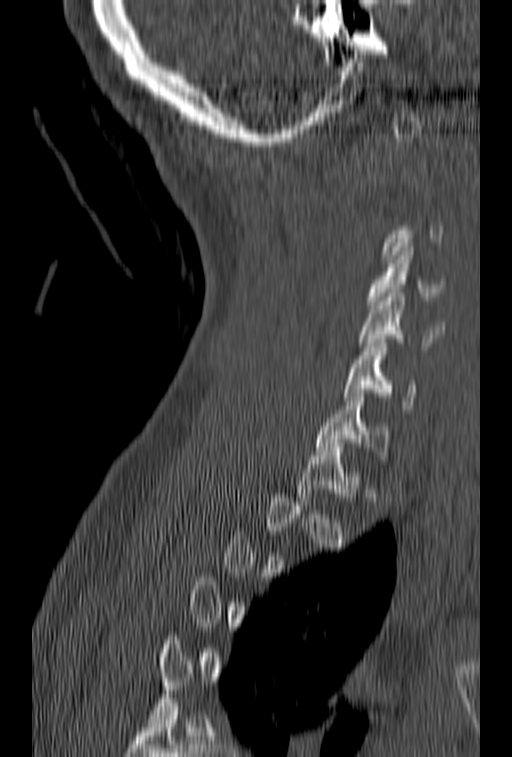 CT spine; sagittal view; Bone window (WL 400, WW 1800)
Each box given as x1,y1,x2,y2.
A vertebra is boxed only from the first to the last slice where its cross-section is at least a third of its largest; slices outside that range leave it without a box.
Vertebra bounding boxes:
- C7: x1=316, y1=393, x2=389, y2=459
- C6: x1=343, y1=343, x2=416, y2=413
- C5: x1=359, y1=293, x2=444, y2=350
- C4: x1=366, y1=247, x2=447, y2=309